Spine CT — sagittal reformat — Bone window (WL 400, WW 1800)
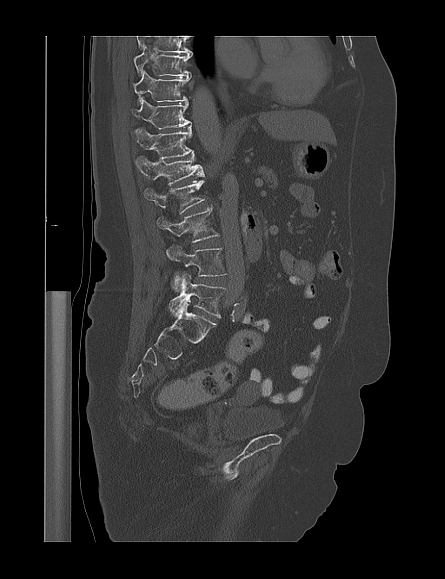 In the table, x1 and y1 are a box's top-left corner and x2 and y2 its bottom-right corner, in pixels.
Labels in this scan begin with T9 at the top and end with L5 at the bottom.
| vertebra | x1 | y1 | x2 | y2 |
|---|---|---|---|---|
| T9 | 133 | 46 | 192 | 76 |
| T10 | 133 | 70 | 188 | 105 |
| T11 | 131 | 99 | 191 | 129 |
| T12 | 133 | 128 | 193 | 158 |
| L1 | 135 | 155 | 204 | 184 |
| L2 | 144 | 180 | 205 | 213 |
| L3 | 157 | 207 | 219 | 260 |
| L4 | 171 | 246 | 226 | 290 |
| L5 | 169 | 273 | 225 | 318 |